Spine computed tomography. sagittal plane, index 253. 607x607 px
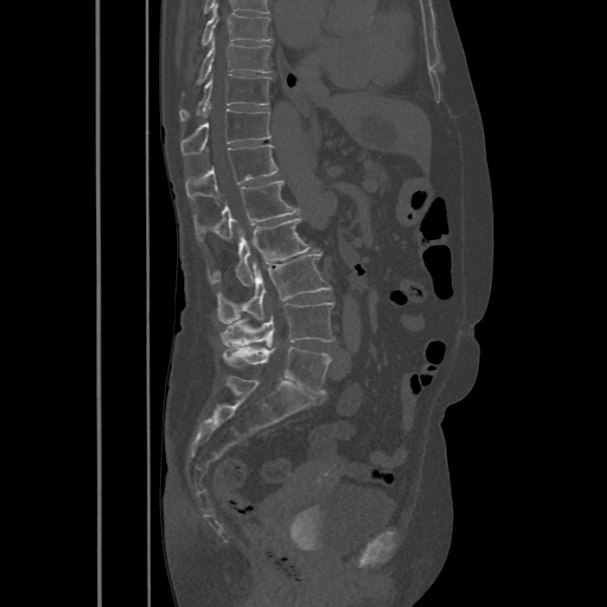
Box values are [left, top, right, bottom] in pixels.
{"vertebrae":{"T8":[202,5,272,46],"T9":[196,41,271,84],"T10":[179,75,271,121],"T11":[180,108,271,155],"T12":[185,145,278,200],"L1":[193,180,300,241],"L2":[208,218,310,286],"L3":[217,255,331,324],"L4":[219,302,334,347],"L5":[223,346,331,394]}}